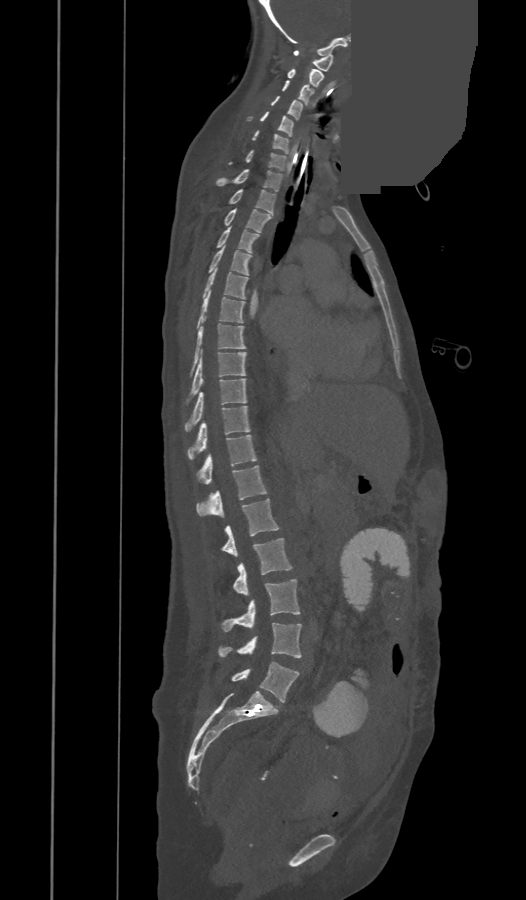

Computed tomography of the spine. sagittal view. Bone window (WL 400, WW 1800). part of the image is a flat gray fill, not anatomy
Each box given as x1,y1,x2,y2.
The labels name an extra thoracic vertebra here, T13, which comes after T12 and before L1.
C1: x1=293, y1=50, x2=333, y2=71
C2: x1=287, y1=69, x2=323, y2=87
C3: x1=282, y1=80, x2=313, y2=105
C4: x1=271, y1=96, x2=302, y2=119
C5: x1=246, y1=111, x2=294, y2=136
C6: x1=253, y1=130, x2=288, y2=154
C7: x1=229, y1=150, x2=286, y2=170
T1: x1=217, y1=169, x2=282, y2=191
T2: x1=229, y1=189, x2=275, y2=214
T3: x1=225, y1=209, x2=272, y2=232
T4: x1=217, y1=227, x2=259, y2=252
T5: x1=208, y1=247, x2=252, y2=275
T6: x1=202, y1=269, x2=247, y2=299
T7: x1=197, y1=290, x2=244, y2=328
T8: x1=189, y1=318, x2=245, y2=376
T9: x1=187, y1=352, x2=245, y2=402
T10: x1=185, y1=378, x2=246, y2=430
T11: x1=188, y1=406, x2=250, y2=459
T12: x1=197, y1=435, x2=257, y2=484
T13: x1=197, y1=466, x2=267, y2=517
L1: x1=221, y1=499, x2=279, y2=556
L2: x1=232, y1=538, x2=292, y2=595
L3: x1=221, y1=579, x2=300, y2=631
L4: x1=219, y1=623, x2=301, y2=657
L5: x1=231, y1=662, x2=299, y2=702